Spine CT · sagittal view
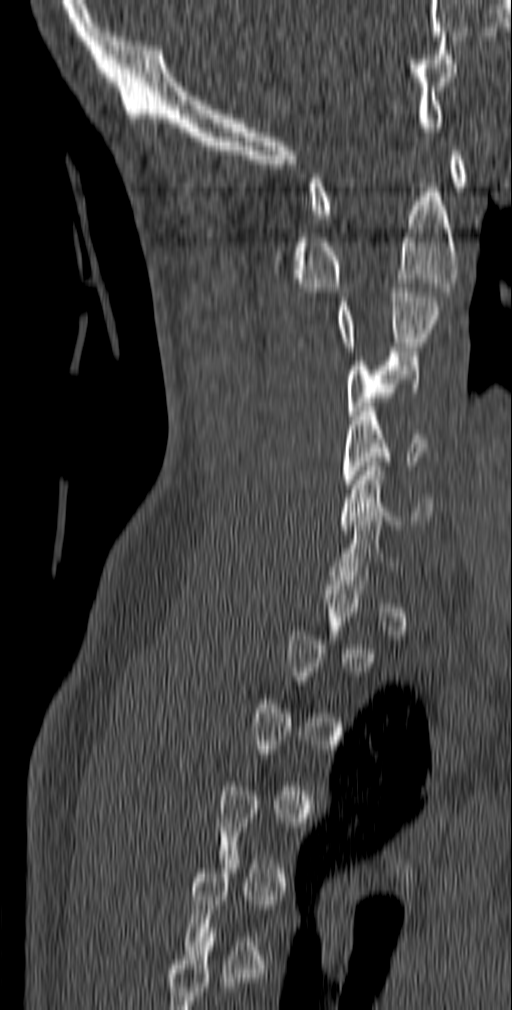

Boxes: x1 y1 x2 y2 (pixel coords, space-separated).
A vertebra gets a box only on the slices from the first to the last where its cross-section is at least a third of its largest; on a slice outside that range it gets none.
Vertebra bounding boxes:
- C6: 340 462 433 529
- C5: 343 407 430 488
- C4: 347 352 421 420
- C3: 338 283 439 351
- C2: 271 187 459 292
- C1: 309 151 468 218